Computed tomography of the spine; sagittal reformat; W/L 1800/400 HU; 512x1357 px; 23 vertebrae labeled in this scan; a region of this slice is masked with a uniform fill
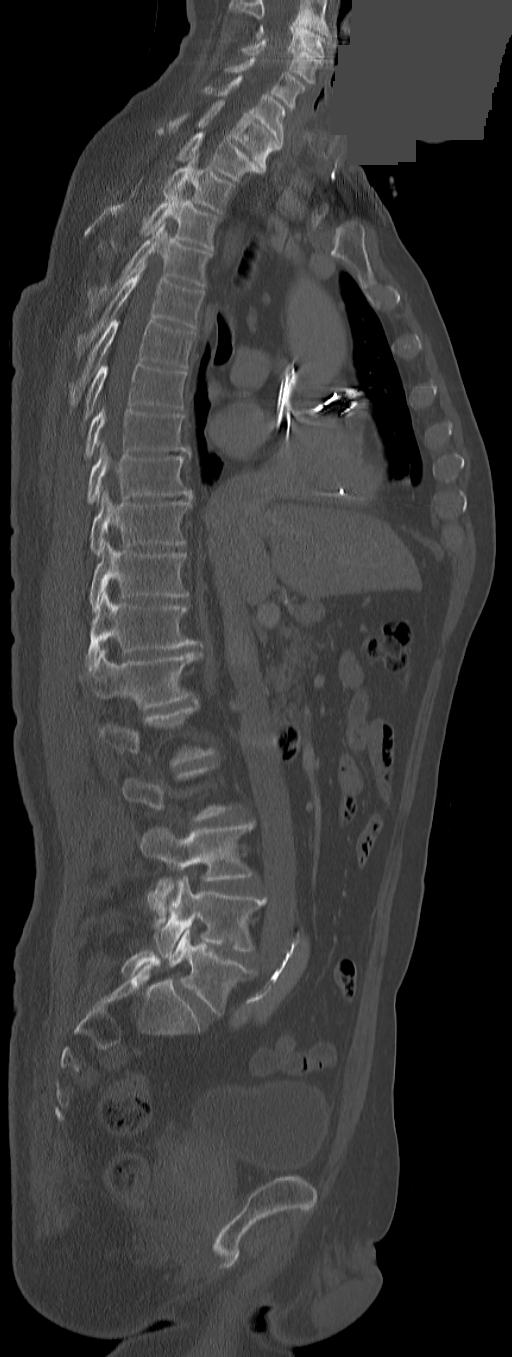

Boxes are (x1, y1, x2, y2) in pixels.
A vertebra gets a box only on the slices from the first to the last where its cross-section is at least a third of its largest; on a slice outside that range it gets none.
In this scan, the topmost labeled vertebra is C3 and the lowest is L5.
In these labels the spine has a T13, a thirteenth thoracic vertebra, between T12 and L1.
L5: (168, 928, 255, 1015)
L4: (154, 877, 267, 958)
L3: (139, 822, 253, 915)
T13: (81, 648, 202, 709)
T12: (87, 591, 198, 668)
T11: (90, 541, 188, 612)
T10: (90, 491, 189, 554)
T9: (87, 446, 191, 503)
T8: (85, 407, 188, 457)
T7: (83, 363, 186, 418)
T6: (69, 319, 195, 406)
T5: (76, 262, 203, 357)
T4: (88, 222, 211, 313)
T3: (111, 190, 218, 249)
T2: (113, 154, 233, 212)
T1: (176, 131, 262, 179)
C7: (169, 100, 279, 171)
C6: (203, 75, 285, 146)
C5: (225, 57, 306, 109)
C4: (241, 40, 323, 84)
C3: (256, 24, 325, 58)